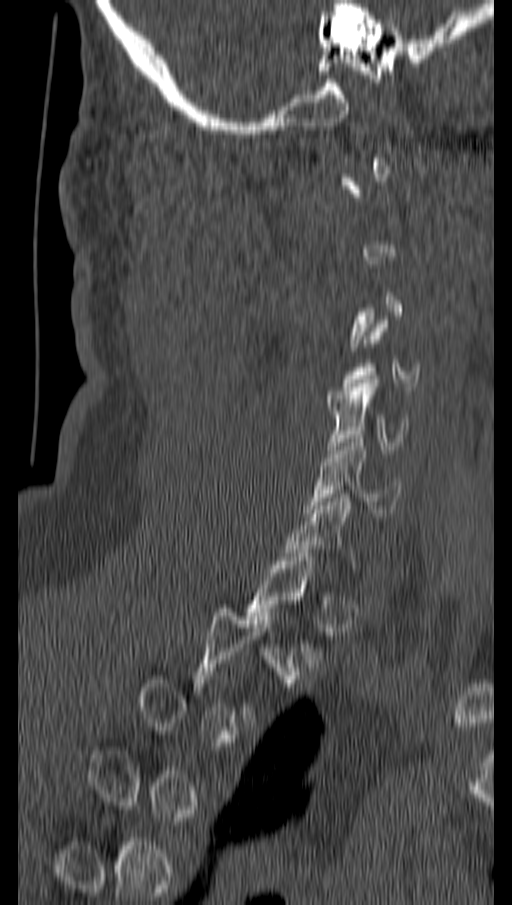
Computed tomography of the spine — sagittal reformat — W/L 1800/400 HU
Not every vertebra on this slice has a box: a vertebra is boxed only from the first to the last slice where its cross-section is at least a third of its largest, and this slice is outside that range for at least one of them.
<vertebrae><v name="C5" x1="327" y1="379" x2="408" y2="453"/><v name="C6" x1="305" y1="435" x2="402" y2="513"/></vertebrae>